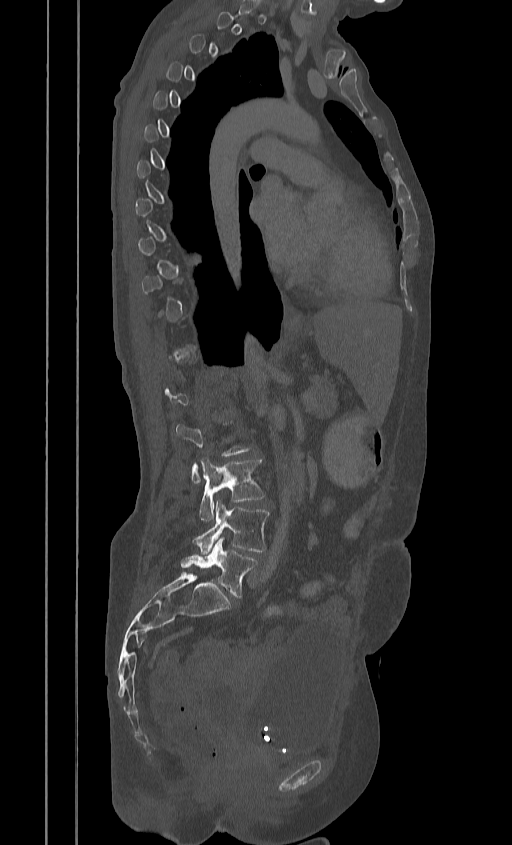

CT; sagittal view; image 384 mm wide
Bounding boxes as [x1, y1, x2, y2] in pixel coordinates. A vertebra is boxed only from the first to the last slice where its cross-section is at least a third of its largest; slices outside that range leave it without a box. 3 vertebrae labeled — L3 at [200, 457, 264, 520]; L4 at [193, 500, 269, 552]; L5 at [181, 537, 257, 598].